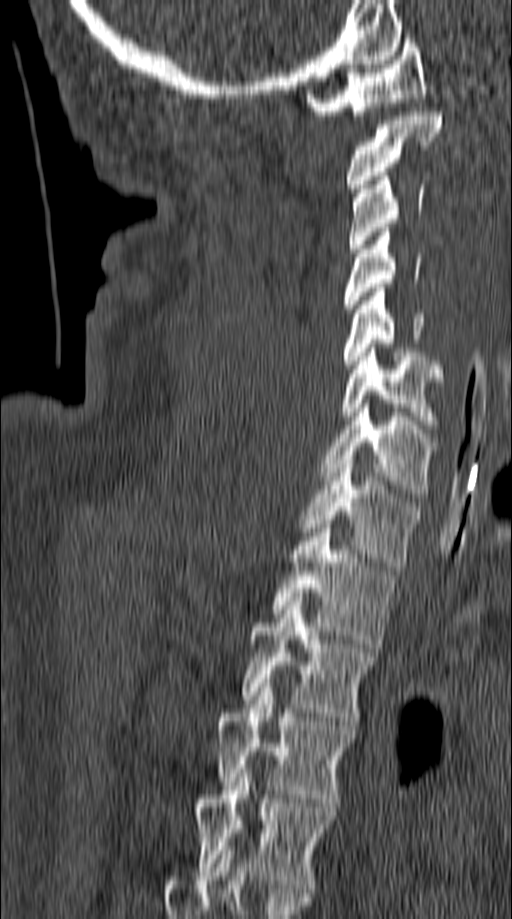 CT; sagittal view; the image is 149 mm wide; bone-window reconstruction
Each vertebra maps to its box as [x1, y1, x2, y2], the pixel coordinates of its top-left and bottom-right corners.
{"vertebrae":{"C1":[306,39,426,119],"C2":[345,112,443,192],"C3":[348,172,423,252],"C4":[345,228,421,313],"C5":[344,288,423,368],"C6":[341,344,442,429],"C7":[319,404,437,497],"T1":[298,460,417,566],"T2":[273,524,395,648],"T3":[242,597,375,721],"T4":[214,683,354,807],"T5":[193,769,334,892]}}